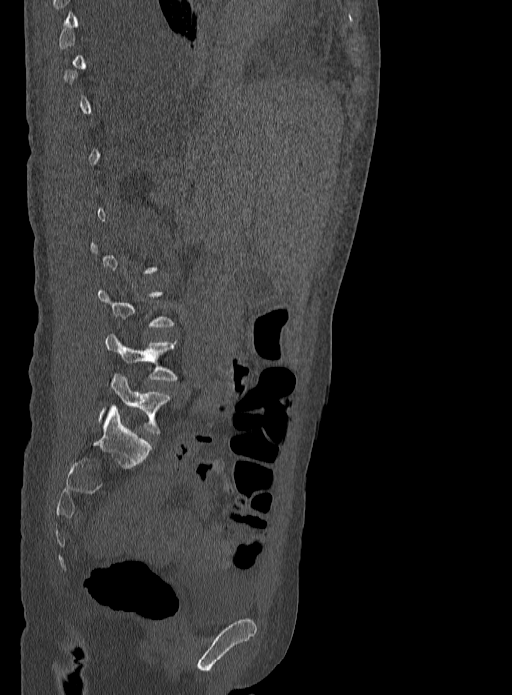
Spine CT; sagittal reformat; 512x695 px

Each box given as x1,y1,x2,y2.
Not every vertebra on this slice has a box: a vertebra is boxed only from the first to the last slice where its cross-section is at least a third of its largest, and this slice is outside that range for at least one of them.
| vertebra | x1 | y1 | x2 | y2 |
|---|---|---|---|---|
| L4 | 106 | 332 | 177 | 383 |
| L5 | 100 | 374 | 171 | 434 |